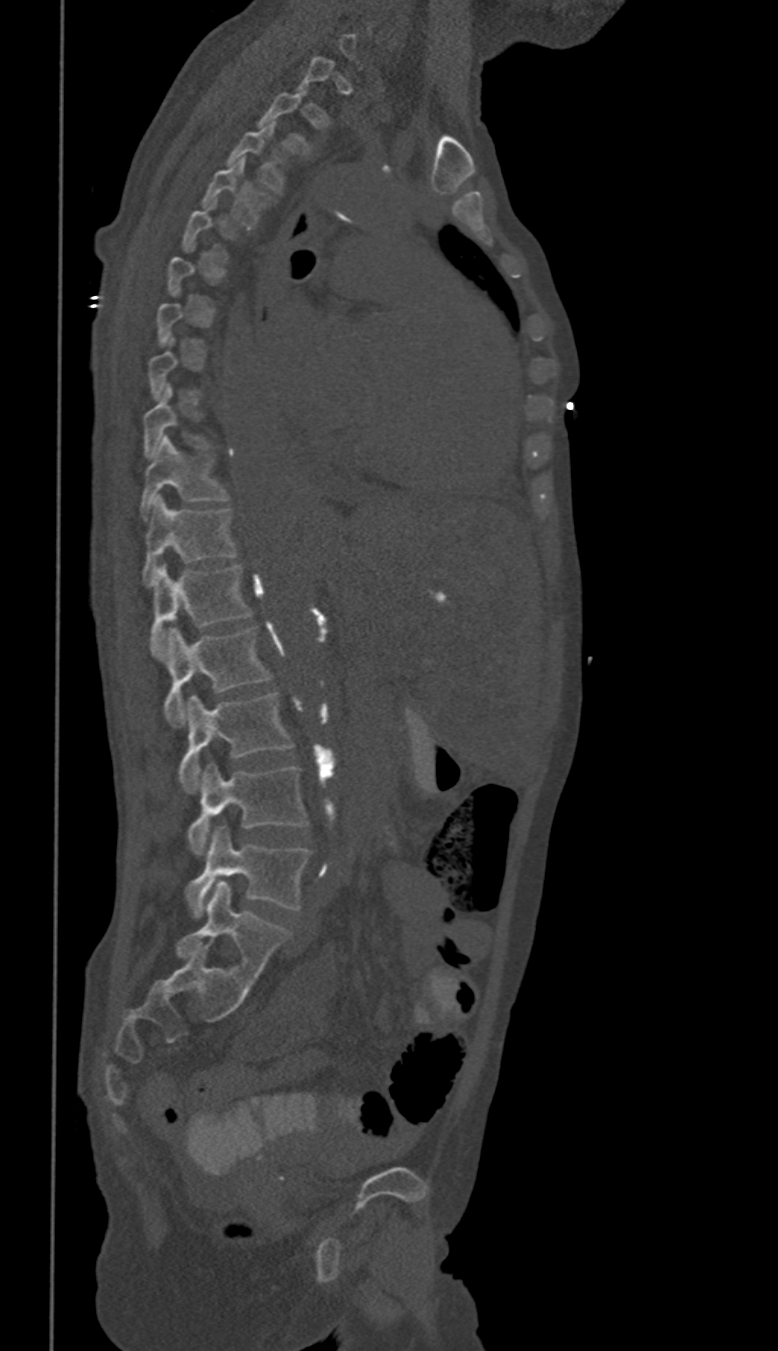 Computed tomography of the spine · sagittal reformat · 778x1351 px. Each box given as x1,y1,x2,y2. Not every vertebra on this slice has a box: a vertebra is boxed only from the first to the last slice where its cross-section is at least a third of its largest, and this slice is outside that range for at least one of them. In these labels the thoracic vertebrae end at T11, so L1 follows T11. 11 vertebrae labeled — T2 at x1=257, y1=92, x2=310, y2=153; T3 at x1=228, y1=123, x2=283, y2=191; T4 at x1=202, y1=158, x2=268, y2=228; T9 at x1=144, y1=385, x2=207, y2=457; T10 at x1=140, y1=436, x2=227, y2=519; T11 at x1=141, y1=496, x2=236, y2=584; L1 at x1=150, y1=565, x2=250, y2=657; L2 at x1=164, y1=627, x2=269, y2=726; L3 at x1=179, y1=692, x2=292, y2=791; L4 at x1=188, y1=763, x2=307, y2=855; L5 at x1=187, y1=827, x2=310, y2=917.